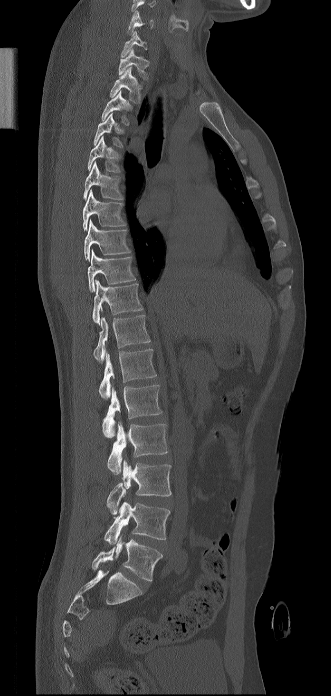

CT spine. sagittal view. image width 331 mm
Each box is [x1, y1, x2, y2] in pixels: top-left corner, then bottom-right corner.
Labels in this scan begin with C6 at the top and end with L5 at the bottom.
{"vertebrae":{"C6":[127,10,153,35],"C7":[121,31,147,57],"T1":[118,48,149,79],"T2":[110,67,141,102],"T3":[101,90,131,125],"T4":[94,113,123,147],"T5":[88,136,121,172],"T6":[83,161,122,200],"T7":[82,189,125,231],"T8":[84,219,130,260],"T9":[87,249,135,291],"T10":[92,280,143,324],"T11":[93,315,150,361],"T12":[99,349,156,398],"L1":[102,385,162,438],"L2":[107,422,168,474],"L3":[106,460,171,514],"L4":[104,502,170,544],"L5":[92,536,162,581]}}